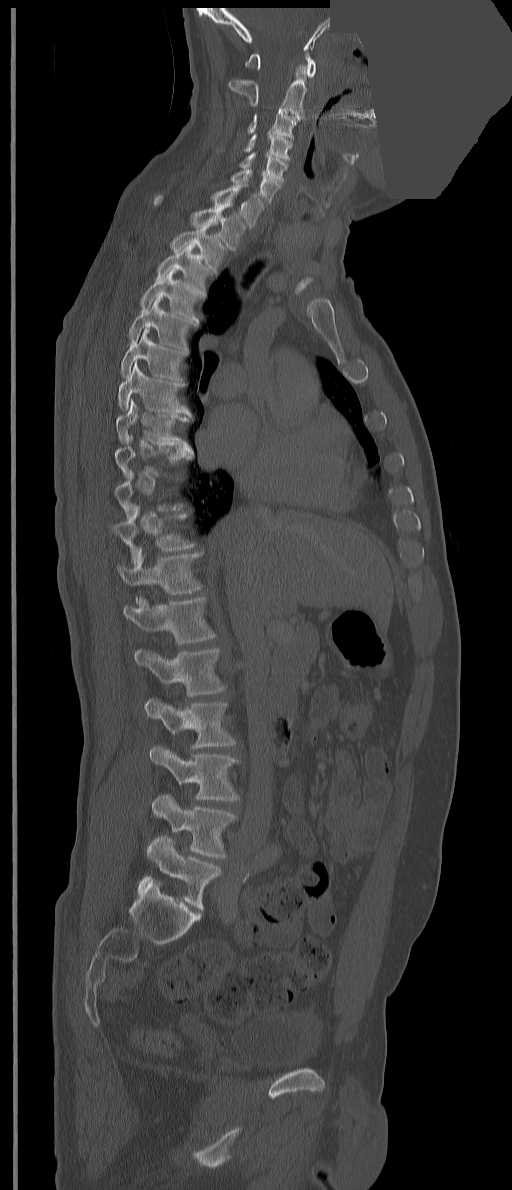

Spine CT — sagittal view — part of the image is a flat gray fill, not anatomy. Each box given as x1,y1,x2,y2.
A vertebra gets a box only on the slices from the first to the last where its cross-section is at least a third of its largest; on a slice outside that range it gets none.
The labels name an extra thoracic vertebra here, T13, which comes after T12 and before L1.
| vertebra | x1 | y1 | x2 | y2 |
|---|---|---|---|---|
| L5 | 138 | 836 | 221 | 909 |
| L4 | 152 | 795 | 236 | 858 |
| L3 | 149 | 745 | 238 | 801 |
| L2 | 145 | 697 | 236 | 749 |
| L1 | 134 | 648 | 225 | 696 |
| T13 | 123 | 597 | 215 | 644 |
| T12 | 117 | 553 | 202 | 605 |
| T11 | 111 | 508 | 195 | 565 |
| T9 | 114 | 434 | 190 | 478 |
| T8 | 116 | 398 | 194 | 456 |
| T7 | 118 | 361 | 194 | 421 |
| T6 | 120 | 328 | 187 | 381 |
| T5 | 129 | 297 | 197 | 352 |
| T4 | 140 | 269 | 204 | 324 |
| T3 | 156 | 242 | 212 | 296 |
| T2 | 170 | 223 | 225 | 271 |
| T1 | 153 | 194 | 245 | 251 |
| C7 | 212 | 183 | 263 | 226 |
| C6 | 230 | 169 | 280 | 203 |
| C5 | 239 | 152 | 287 | 181 |
| C4 | 244 | 132 | 292 | 162 |
| C3 | 247 | 111 | 297 | 140 |
| C2 | 228 | 64 | 306 | 120 |
| C1 | 245 | 52 | 316 | 77 |